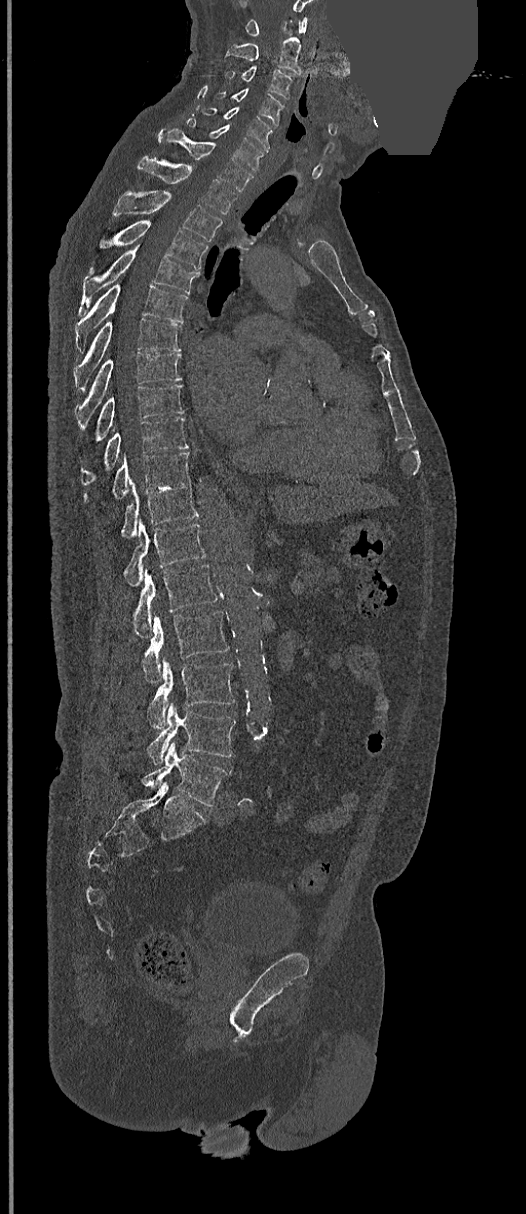 Computed tomography of the spine. sagittal view. a portion of the image is blanked out (constant pixel value)
<vertebrae><v name="L5" x1="142" y1="741" x2="232" y2="806"/><v name="L4" x1="147" y1="701" x2="236" y2="765"/><v name="L3" x1="147" y1="656" x2="234" y2="729"/><v name="L2" x1="142" y1="611" x2="229" y2="683"/><v name="L1" x1="132" y1="564" x2="218" y2="636"/><v name="T12" x1="124" y1="520" x2="204" y2="586"/><v name="T11" x1="121" y1="481" x2="197" y2="538"/><v name="T10" x1="113" y1="451" x2="190" y2="498"/><v name="T9" x1="81" y1="417" x2="187" y2="485"/><v name="T8" x1="95" y1="384" x2="183" y2="439"/><v name="T7" x1="76" y1="351" x2="182" y2="425"/><v name="T6" x1="74" y1="319" x2="180" y2="389"/><v name="T5" x1="76" y1="275" x2="187" y2="350"/><v name="T4" x1="80" y1="250" x2="199" y2="312"/><v name="T3" x1="95" y1="220" x2="207" y2="269"/><v name="T2" x1="113" y1="191" x2="222" y2="240"/><v name="T1" x1="137" y1="157" x2="236" y2="213"/><v name="C7" x1="158" y1="129" x2="252" y2="192"/><v name="C6" x1="187" y1="117" x2="265" y2="172"/><v name="C5" x1="202" y1="107" x2="272" y2="149"/><v name="C4" x1="215" y1="89" x2="283" y2="125"/><v name="C3" x1="227" y1="66" x2="292" y2="99"/><v name="C2" x1="224" y1="37" x2="300" y2="75"/><v name="C1" x1="245" y1="17" x2="307" y2="36"/></vertebrae>